Computed tomography of the spine — sagittal reformat — W/L 1800/400 HU — 12 vertebrae labeled in this scan
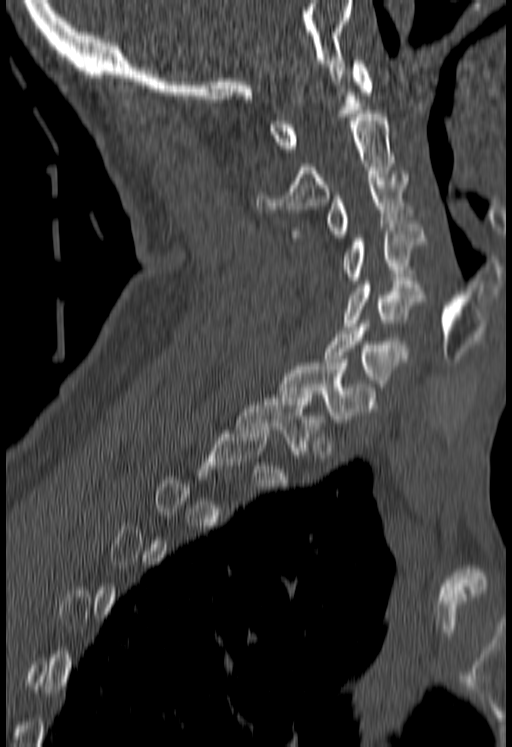 Boxes are given in columns x1, y1, x2, y2, the pixel coordinates of their top-left and bottom-right corners.
A vertebra is boxed only from the first to the last slice where its cross-section is at least a third of its largest; slices outside that range leave it without a box.
| vertebra | x1 | y1 | x2 | y2 |
|---|---|---|---|---|
| T1 | 235 | 395 | 325 | 458 |
| C7 | 275 | 363 | 375 | 426 |
| C6 | 325 | 324 | 410 | 390 |
| C5 | 342 | 281 | 425 | 326 |
| C4 | 342 | 224 | 427 | 283 |
| C3 | 291 | 174 | 410 | 237 |
| C2 | 257 | 114 | 395 | 212 |
| C1 | 268 | 60 | 373 | 152 |